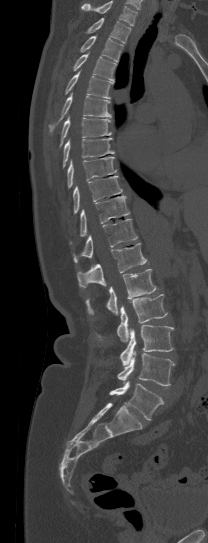

Spine computed tomography — 208 mm across the image — sagittal reformat — W/L 1800/400 HU — 208x543 px
Boxes: x1 y1 x2 y2 (pixel coords, space-separated). Vertebrae that run past the top of the scan are left unlabeled. Vertebrae labeled: T1 at 86 18 131 43, T2 at 80 36 122 62, T3 at 73 54 115 81, T4 at 65 70 113 98, T5 at 48 92 111 131, T6 at 60 117 111 146, T7 at 62 138 114 168, T8 at 67 157 116 188, T9 at 73 176 122 213, T10 at 70 196 129 244, T11 at 73 219 137 262, T12 at 77 243 146 287, L1 at 86 269 158 314, L2 at 117 294 167 342, L3 at 120 325 174 365, L4 at 117 351 176 387, L5 at 108 381 163 420.